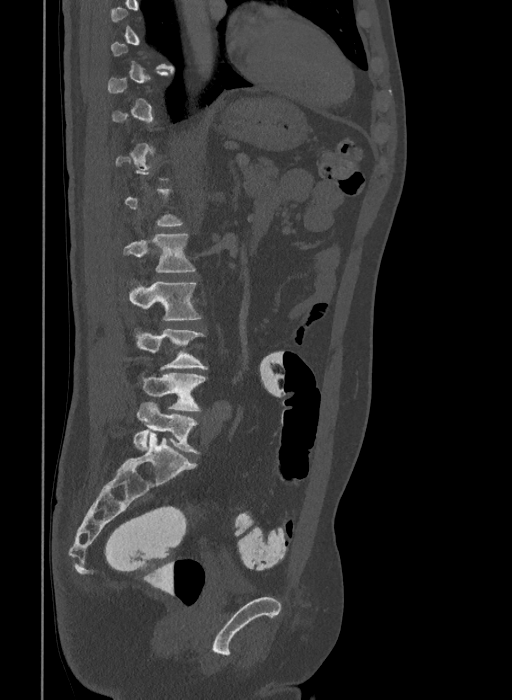
Spine computed tomography · sagittal reformat · bone-window reconstruction
Coordinates as <box>x1,y1,x2,y2</box>.
A vertebra is boxed only from the first to the last slice where its cross-section is at least a third of its largest; slices outside that range leave it without a box.
These labels give the spine a sixth lumbar vertebra, L6, below L5.
Vertebra bounding boxes:
- L2: <box>124,234,195,272</box>
- L3: <box>128,282,200,321</box>
- L4: <box>138,329,207,370</box>
- L5: <box>141,373,207,410</box>
- L6: <box>133,402,201,454</box>